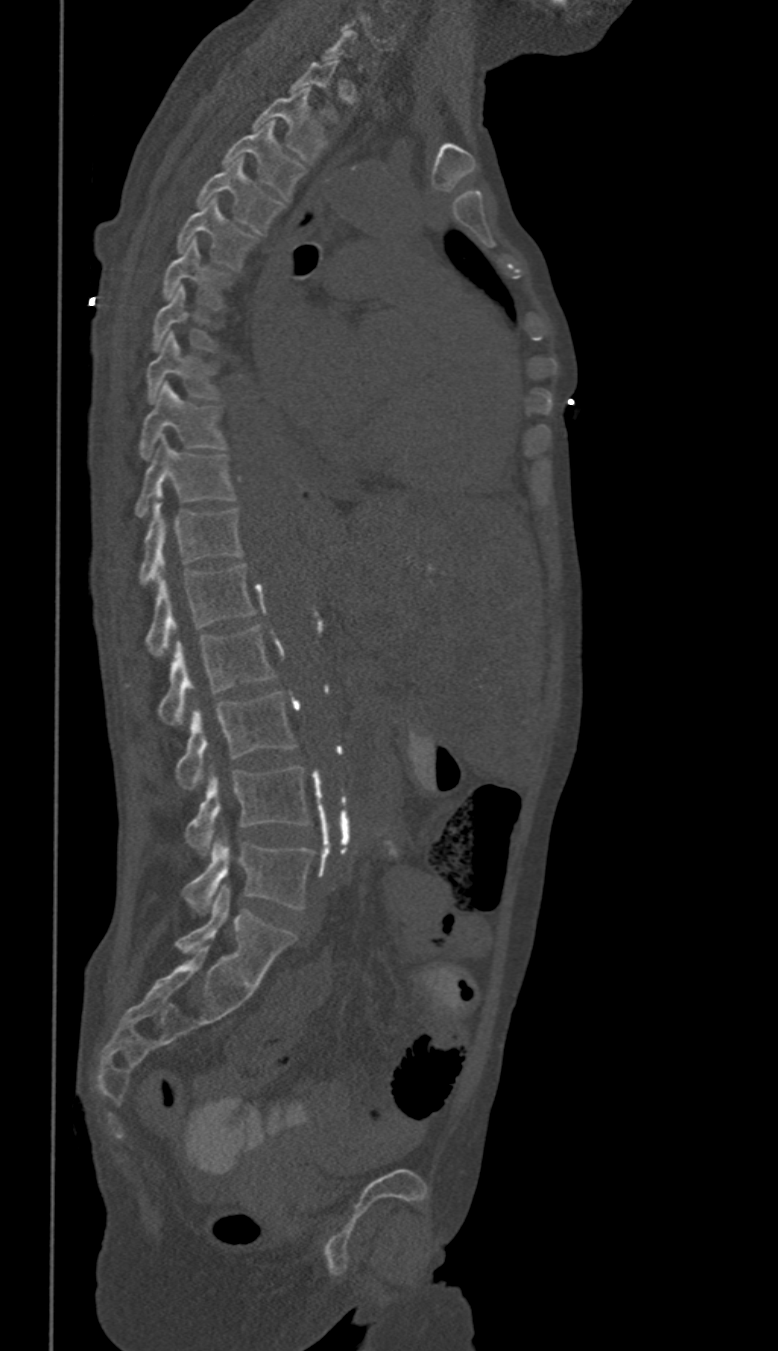
CT spine · sagittal view · the image is 350 mm wide
Each row gives a vertebra's box as x1, y1, x2, y2 in pixels: top-left corner, then bottom-right corner.
A vertebra gets a box only on the slices from the first to the last where its cross-section is at least a third of its largest; on a slice outside that range it gets none.
In these labels the spine has no T12: the thoracic vertebrae end at T11, and L1 comes next.
| vertebra | x1 | y1 | x2 | y2 |
|---|---|---|---|---|
| L5 | 184 | 832 | 313 | 913 |
| L4 | 187 | 767 | 307 | 855 |
| L3 | 175 | 692 | 294 | 791 |
| L2 | 158 | 625 | 274 | 726 |
| L1 | 146 | 563 | 254 | 657 |
| T11 | 140 | 496 | 241 | 584 |
| T10 | 135 | 436 | 234 | 517 |
| T9 | 140 | 383 | 225 | 459 |
| T8 | 146 | 332 | 216 | 402 |
| T7 | 153 | 285 | 212 | 348 |
| T6 | 164 | 240 | 221 | 308 |
| T5 | 178 | 198 | 254 | 268 |
| T4 | 197 | 158 | 282 | 233 |
| T3 | 225 | 120 | 303 | 199 |
| T2 | 254 | 87 | 323 | 162 |